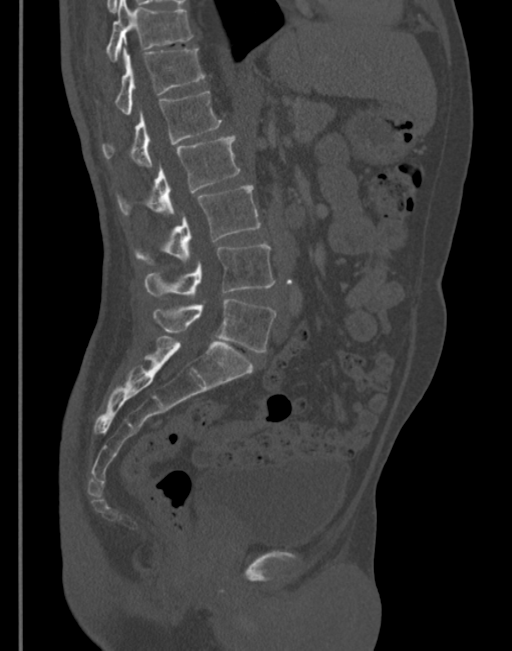

CT spine; sagittal reformat; 345 mm across the image
Box edges are left/top/right/bottom in pixels.
| vertebra | x1 | y1 | x2 | y2 |
|---|---|---|---|---|
| T11 | 105 | 0 | 193 | 61 |
| T12 | 114 | 46 | 205 | 114 |
| L1 | 102 | 91 | 221 | 168 |
| L2 | 117 | 135 | 239 | 215 |
| L3 | 135 | 185 | 260 | 264 |
| L4 | 144 | 245 | 275 | 299 |
| L5 | 153 | 299 | 276 | 352 |